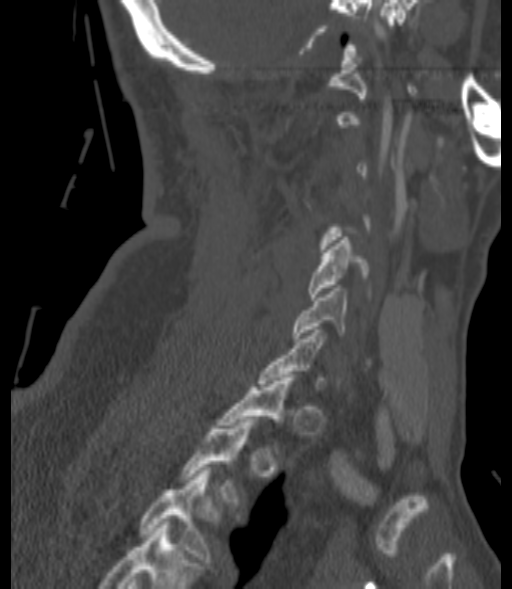

CT spine. sagittal reformat. bone window. 512x589 px. the image spans 200 mm across
Boxes: x1 y1 x2 y2 (pixel coords, space-separated).
A vertebra gets a box only on the slices from the first to the last where its cross-section is at least a third of its largest; on a slice outside that range it gets none.
Labels in this scan begin with C1 at the top and end with T3 at the bottom.
C5: 308 237 369 300
C6: 293 288 346 341
T2: 180 419 253 505
T3: 139 467 212 562